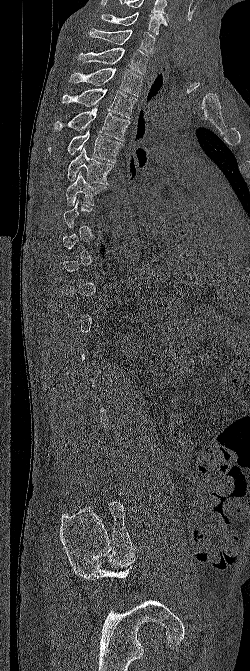

Computed tomography of the spine; the image spans 250 mm across; sagittal view
Coordinates as <box>x1,y1,x2,y2</box>.
A vertebra gets a box only on the slices from the first to the last where its cross-section is at least a third of its largest; on a slice outside that range it gets none.
This scan's labels start at C6 at the top and end at L5 at the bottom.
T7: <box>66,171,106,205</box>
T6: <box>67,147,113,184</box>
T5: <box>48,129,123,162</box>
T4: <box>54,107,130,141</box>
T3: <box>61,87,137,118</box>
T2: <box>68,68,142,96</box>
T1: <box>77,47,149,74</box>
C7: <box>89,28,155,53</box>
C6: <box>101,12,168,34</box>